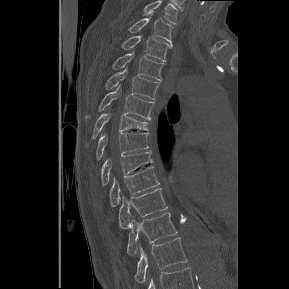 CT, spine; sagittal view
Coordinates as <box>x1,y1,x2,y2</box>.
The highest labeled vertebra in this scan is T1; the lowest is T12.
Vertebra bounding boxes:
- T1: <box>128,17,172,44</box>
- T2: <box>121,35,171,61</box>
- T3: <box>112,52,163,80</box>
- T4: <box>105,67,159,99</box>
- T5: <box>99,86,154,119</box>
- T6: <box>93,113,148,139</box>
- T7: <box>96,132,148,159</box>
- T8: <box>101,151,152,185</box>
- T9: <box>109,166,159,206</box>
- T10: <box>118,188,167,228</box>
- T11: <box>127,212,177,256</box>
- T12: <box>134,238,187,282</box>